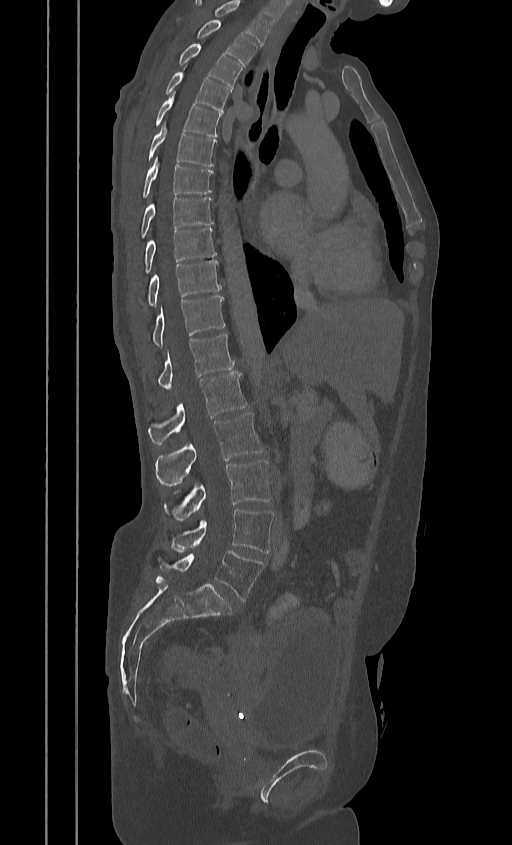 Spine CT; sagittal reformat; the image is 384 mm wide; Bone window (WL 400, WW 1800); 512x845 px
Each row gives a vertebra's box as x1, y1, x2, y2 in pixels: top-left corner, then bottom-right corner.
This scan's labels start at T2 at the top and end at L5 at the bottom.
| vertebra | x1 | y1 | x2 | y2 |
|---|---|---|---|---|
| L5 | 157 | 551 | 263 | 600 |
| L4 | 170 | 509 | 273 | 552 |
| L3 | 164 | 460 | 271 | 519 |
| L2 | 154 | 412 | 263 | 486 |
| L1 | 149 | 372 | 247 | 444 |
| T12 | 158 | 333 | 233 | 391 |
| T11 | 153 | 296 | 224 | 347 |
| T10 | 145 | 260 | 220 | 310 |
| T9 | 144 | 228 | 216 | 272 |
| T8 | 140 | 197 | 212 | 238 |
| T7 | 142 | 156 | 212 | 198 |
| T6 | 148 | 123 | 216 | 166 |
| T5 | 154 | 91 | 221 | 136 |
| T4 | 165 | 68 | 231 | 112 |
| T3 | 178 | 44 | 242 | 88 |
| T2 | 197 | 20 | 256 | 66 |